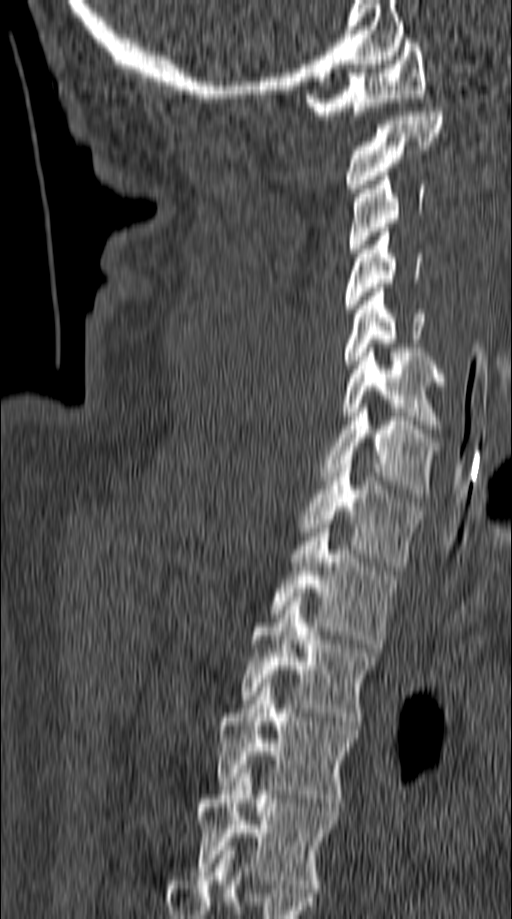

CT spine — 149 mm wide — sagittal reformat — 512x919 px. Boxes are (x1, y1, x2, y2) in pixels.
C1: (306, 39, 426, 119)
C2: (345, 107, 443, 192)
C3: (348, 172, 426, 252)
C4: (345, 228, 423, 313)
C5: (345, 288, 426, 368)
C6: (341, 348, 447, 433)
C7: (321, 408, 440, 497)
T1: (298, 460, 419, 566)
T2: (272, 524, 399, 648)
T3: (241, 597, 378, 725)
T4: (218, 683, 358, 807)
T5: (193, 769, 337, 892)